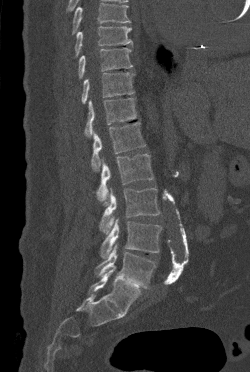

CT, spine; sagittal view; W/L 1800/400 HU; 250x372 px

Coordinates as <box>x1,y1,x2,y2</box>.
A vertebra cut off by the top edge of the scan is not labeled and has no box.
Vertebra bounding boxes:
- T9: <box>75,26,132,56</box>
- T10: <box>78,47,132,78</box>
- T11: <box>81,72,134,103</box>
- T12: <box>84,98,136,136</box>
- L1: <box>91,122,145,171</box>
- L2: <box>96,153,153,205</box>
- L3: <box>99,188,160,234</box>
- L4: <box>100,218,162,258</box>
- L5: <box>96,243,155,288</box>